CT, spine; sagittal plane, index 265; 576x488 px; image width 360 mm
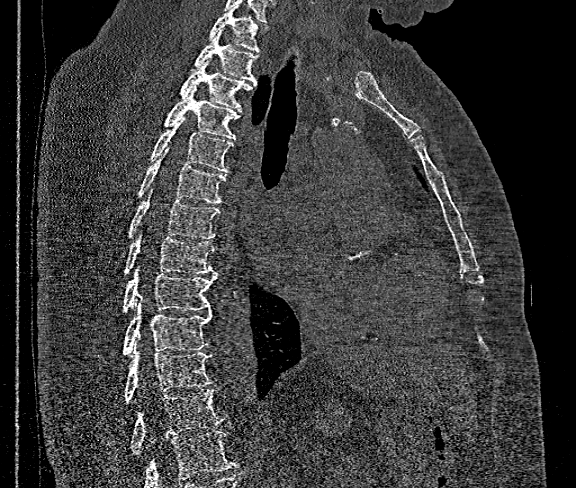
Each box given as x1,y1,x2,y2.
Where the bottom of the scan cuts through a vertebra, that vertebra gets no label or box.
T1: x1=209, y1=8, x2=268, y2=51
T2: x1=191, y1=29, x2=258, y2=83
T3: x1=179, y1=63, x2=257, y2=110
T4: x1=163, y1=87, x2=242, y2=140
T5: x1=150, y1=117, x2=234, y2=172
T6: x1=137, y1=148, x2=226, y2=203
T7: x1=128, y1=190, x2=219, y2=239
T8: x1=123, y1=234, x2=215, y2=275
T9: x1=123, y1=268, x2=218, y2=313
T10: x1=123, y1=299, x2=212, y2=355
T11: x1=125, y1=346, x2=213, y2=404
T12: x1=129, y1=389, x2=226, y2=454